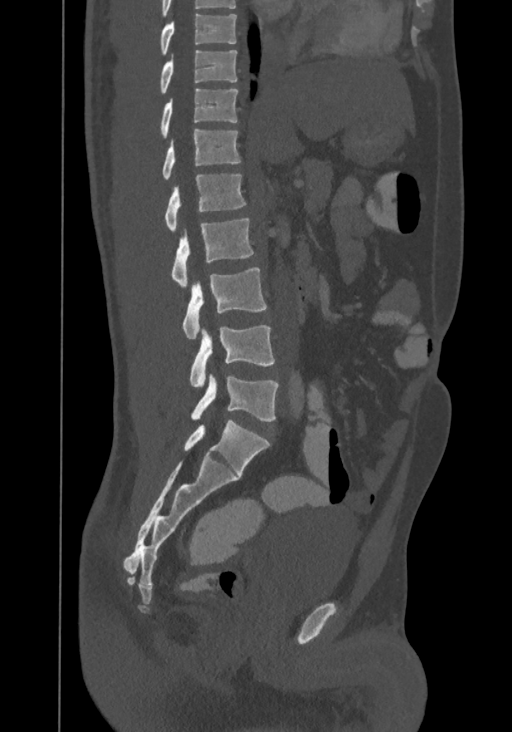

CT, spine · sagittal reformat · 512x732 px
Each box is [x1, y1, x2, y2] in pixels: top-left corner, then bottom-right corner.
In this scan, the topmost labeled vertebra is T8 and the lowest is L4.
{"vertebrae":{"T8":[160,14,236,56],"T9":[159,50,237,94],"T10":[160,88,237,138],"T11":[162,128,240,179],"T12":[164,175,246,231],"L1":[171,217,254,287],"L2":[183,267,267,339],"L3":[190,325,275,387],"L4":[191,375,278,421]}}